CT — Sagittal slice 289/512 — bone-window reconstruction — 385 mm image width
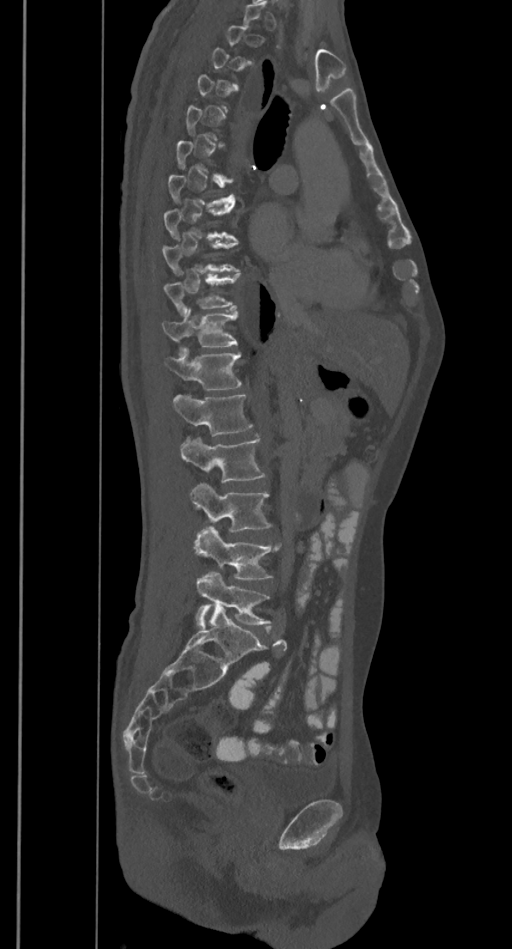

Each box given as x1,y1,x2,y2. A vertebra gets a box only on the slices from the first to the last where its cross-section is at least a third of its largest; on a slice outside that range it gets none. 10 vertebrae labeled — T8 at x1=163, y1=206, x2=236, y2=240; T9 at x1=162, y1=241, x2=240, y2=274; T10 at x1=163, y1=273, x2=241, y2=314; T11 at x1=162, y1=308, x2=238, y2=347; T12 at x1=165, y1=347, x2=242, y2=389; L1 at x1=174, y1=394, x2=253, y2=436; L2 at x1=181, y1=436, x2=266, y2=483; L3 at x1=190, y1=482, x2=271, y2=532; L4 at x1=194, y1=527, x2=281, y2=579; L5 at x1=195, y1=571, x2=271, y2=626.